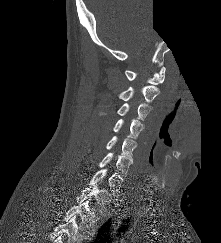
CT, spine. sagittal reformat. the image spans 221 mm across. some of the image was removed or blocked out with constant pixels
Coordinates as <box>x1,y1,x2,y2</box>.
C1: <box>125,66,165,84</box>
C2: <box>118,86,159,102</box>
C3: <box>98,103,152,120</box>
C4: <box>113,118,144,139</box>
C5: <box>106,136,136,160</box>
C6: <box>98,152,132,176</box>
C7: <box>88,168,123,197</box>
T1: <box>76,185,112,213</box>
T2: <box>64,201,100,235</box>